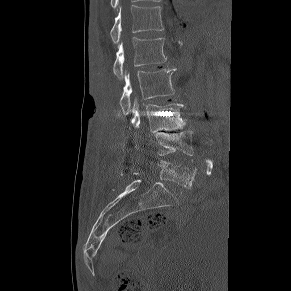
Spine computed tomography. sagittal view. W/L 1800/400 HU
Boxes: x1:y1:x2:y2 in pixels.
Vertebra bounding boxes:
- L5: 131:160:196:188
- L4: 155:131:193:161
- L3: 131:98:186:132
- L2: 120:68:176:114
- L1: 113:37:166:79
- T12: 110:5:163:43